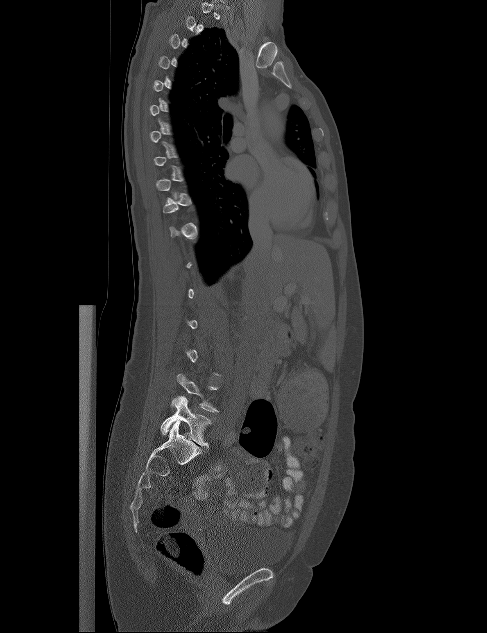
Computed tomography of the spine · sagittal view · the image is 487 mm wide

In the table, x1 and y1 are a box's top-left corner and x2 and y2 its bottom-right corner, in pixels.
Each vertebra is boxed only on the slices from the first to the last where its cross-section reaches a third of its largest, so a slice outside that range leaves it unboxed.
| vertebra | x1 | y1 | x2 | y2 |
|---|---|---|---|---|
| L4 | 170 | 374 | 219 | 412 |
| L5 | 160 | 396 | 211 | 447 |